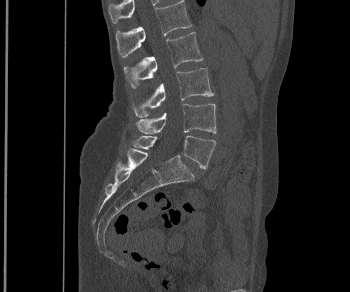 CT spine — the image spans 350 mm across — sagittal view — bone-window reconstruction
Boxes: x1:y1:x2:y2 in pixels.
Vertebra bounding boxes:
- L1: 115:0:191:57
- L2: 123:32:202:89
- L3: 133:68:213:117
- L4: 136:103:216:134
- L5: 132:135:215:168